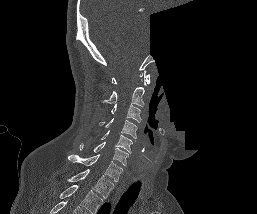
Computed tomography of the spine · sagittal view · a portion of the image is blanked out (constant pixel value)
In the table, x1 and y1 are a box's top-left corner and x2 and y2 its bottom-right corner, in pixels.
This scan's labels start at C1 at the top and end at T1 at the bottom.
| vertebra | x1 | y1 | x2 | y2 |
|---|---|---|---|---|
| C1 | 111 | 70 | 150 | 85 |
| C2 | 101 | 87 | 144 | 107 |
| C3 | 111 | 104 | 141 | 122 |
| C4 | 100 | 118 | 137 | 138 |
| C5 | 101 | 130 | 132 | 153 |
| C6 | 79 | 141 | 128 | 165 |
| C7 | 68 | 154 | 123 | 181 |
| T1 | 67 | 169 | 114 | 198 |